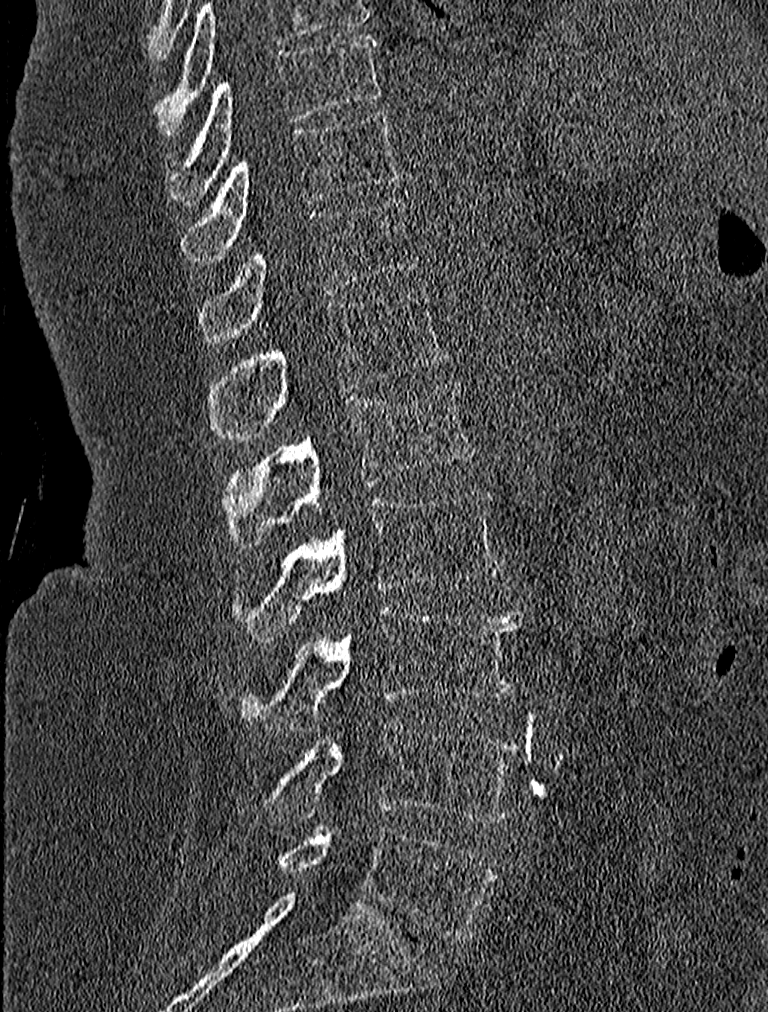
CT spine — sagittal view. Each box given as x1,y1,x2,y2.
T9: x1=168, y1=33, x2=384, y2=206
T10: x1=182, y1=108, x2=404, y2=259
T11: x1=198, y1=199, x2=417, y2=345
T12: x1=209, y1=288, x2=448, y2=439
L1: x1=225, y1=379, x2=475, y2=546
L2: x1=236, y1=490, x2=502, y2=640
L3: x1=242, y1=607, x2=522, y2=728
L4: x1=263, y1=719, x2=519, y2=823
L5: x1=276, y1=827, x2=495, y2=938